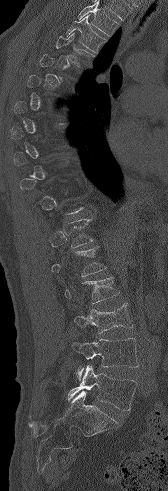
Spine CT — sagittal reformat — bone-window reconstruction
Boxes: x1 y1 x2 y2 (pixel coords, space-separated).
Each vertebra is boxed only on the slices from the first to the last where its cross-section reaches a third of its largest, so a slice outside that range leaves it unboxed.
No box is given to a vertebra that the top edge of the scan cuts off.
T3: 66 15 106 52
T4: 56 32 93 67
T12: 63 218 93 247
L2: 64 276 119 303
L3: 74 303 133 333
L4: 72 338 138 379
L5: 67 365 137 410